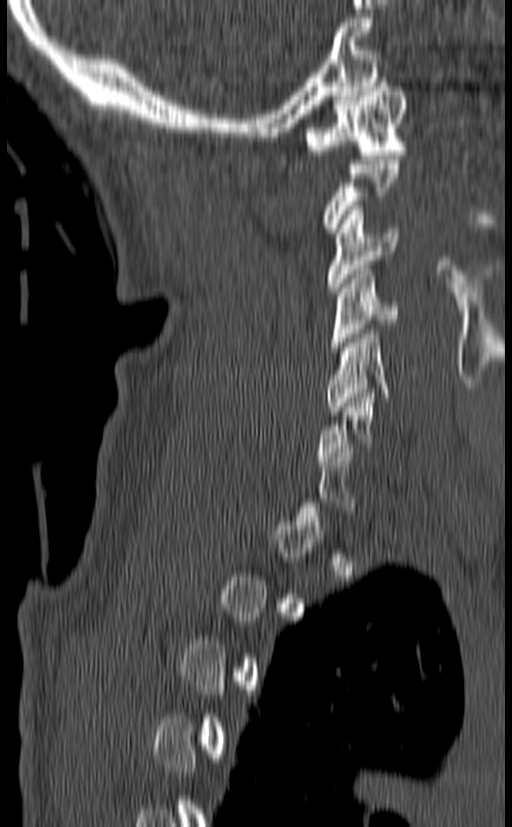 CT · sagittal view · Bone window (WL 400, WW 1800)
Bounding boxes as [x1, y1, x2, y2] in pixel coordinates.
A vertebra is boxed only from the first to the last slice where its cross-section is at least a third of its largest; slices outside that range leave it without a box.
C1: [305, 78, 408, 159]
C3: [327, 206, 399, 292]
C4: [330, 265, 399, 351]
C5: [326, 325, 389, 415]
C6: [317, 389, 376, 465]